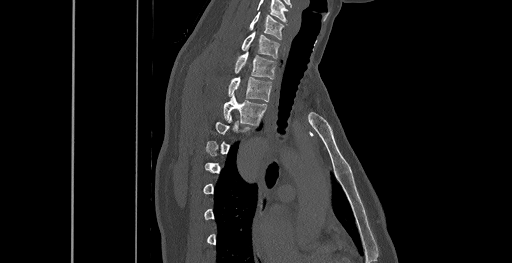
CT spine — sagittal view. Each row gives a vertebra's box as x1, y1, x2, y2 in pixels: top-left corner, then bottom-right corner.
Not every vertebra on this slice has a box: a vertebra is boxed only from the first to the last slice where its cross-section is at least a third of its largest, and this slice is outside that range for at least one of them.
Labels in this scan begin with C6 at the top and end with T8 at the bottom.
| vertebra | x1 | y1 | x2 | y2 |
|---|---|---|---|---|
| T3 | 224 | 95 | 266 | 123 |
| T2 | 228 | 77 | 271 | 101 |
| T1 | 235 | 52 | 275 | 79 |
| C7 | 241 | 32 | 278 | 58 |
| C6 | 249 | 12 | 283 | 39 |